CT spine — sagittal plane, index 240 — 512x618 px
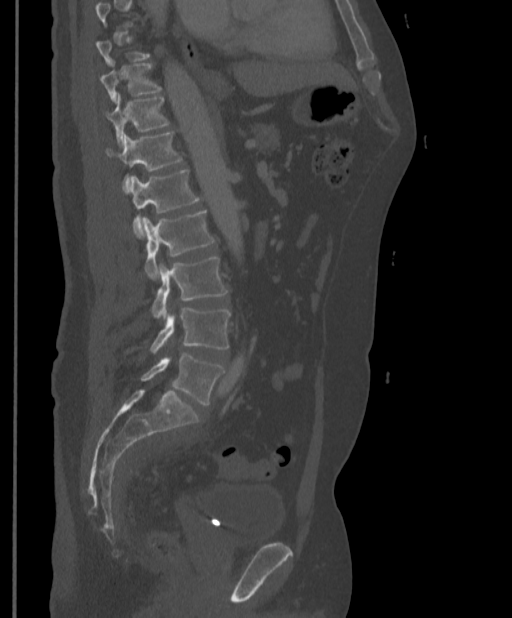
Not every vertebra on this slice has a box: a vertebra is boxed only from the first to the last slice where its cross-section is at least a third of its largest, and this slice is outside that range for at least one of them.
<vertebrae><v name="T10" x1="100" y1="63" x2="161" y2="102"/><v name="T11" x1="104" y1="94" x2="169" y2="145"/><v name="T12" x1="106" y1="132" x2="182" y2="194"/><v name="L1" x1="130" y1="169" x2="200" y2="236"/><v name="L2" x1="142" y1="210" x2="216" y2="279"/><v name="L3" x1="151" y1="257" x2="227" y2="318"/><v name="L4" x1="151" y1="308" x2="230" y2="352"/><v name="L5" x1="140" y1="353" x2="225" y2="405"/></vertebrae>